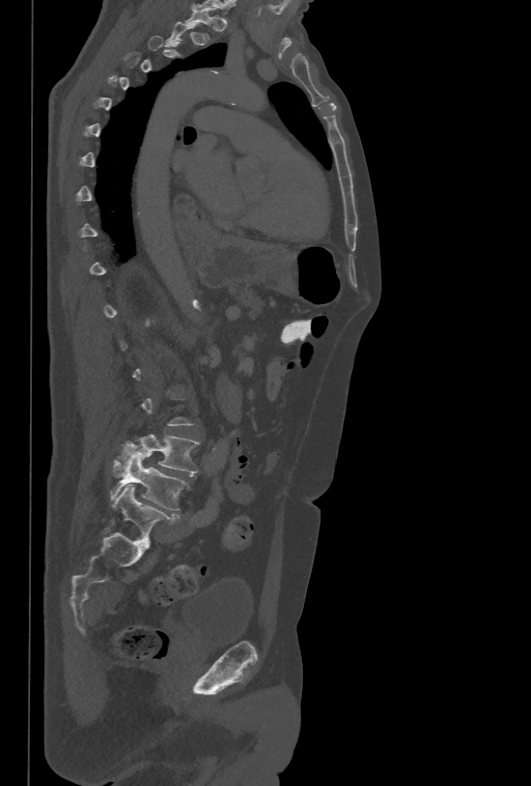 CT; sagittal view
Box edges are left/top/right/bottom in pixels.
A vertebra gets a box only on the slices from the first to the last where its cross-section is at least a third of its largest; on a slice outside that range it gets none.
Vertebra bounding boxes:
- L5: left=110, top=453, right=188, bottom=511
- L4: left=112, top=434, right=199, bottom=476